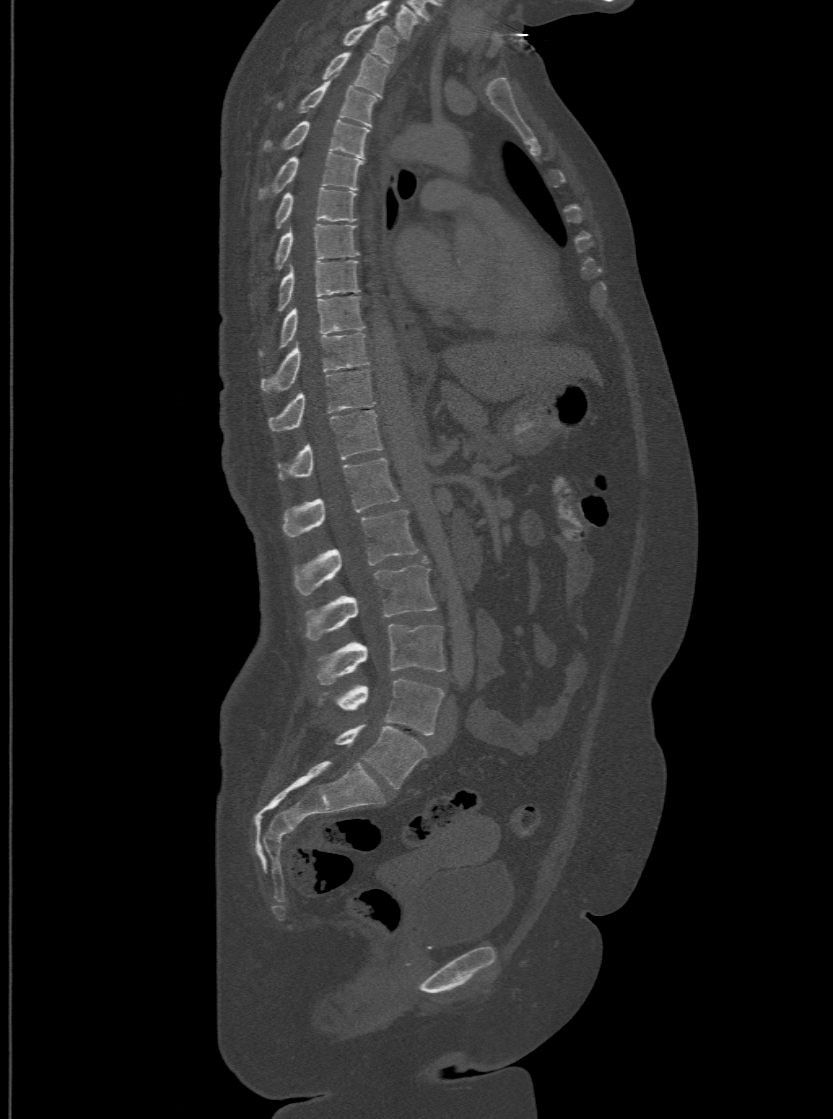 CT, spine · sagittal reformat · W/L 1800/400 HU

Each box is [x1, y1, x2, y2] in pixels: top-left corner, then bottom-right corner.
This scan's labels start at T1 at the top and end at L6 at the bottom.
These labels give the spine a sixth lumbar vertebra, L6, below L5.
{"vertebrae":{"T1":[342,22,399,62],"T2":[322,52,390,96],"T3":[277,80,377,126],"T4":[264,118,368,157],"T5":[257,152,364,199],"T6":[273,187,355,227],"T7":[273,223,359,269],"T8":[277,260,359,311],"T9":[259,295,364,356],"T10":[262,332,368,392],"T11":[269,368,373,431],"T12":[278,410,383,479],"L1":[283,457,399,536],"L2":[293,508,417,595],"L3":[304,557,435,640],"L4":[316,624,445,685],"L5":[319,679,443,735],"L6":[335,724,427,788]}}